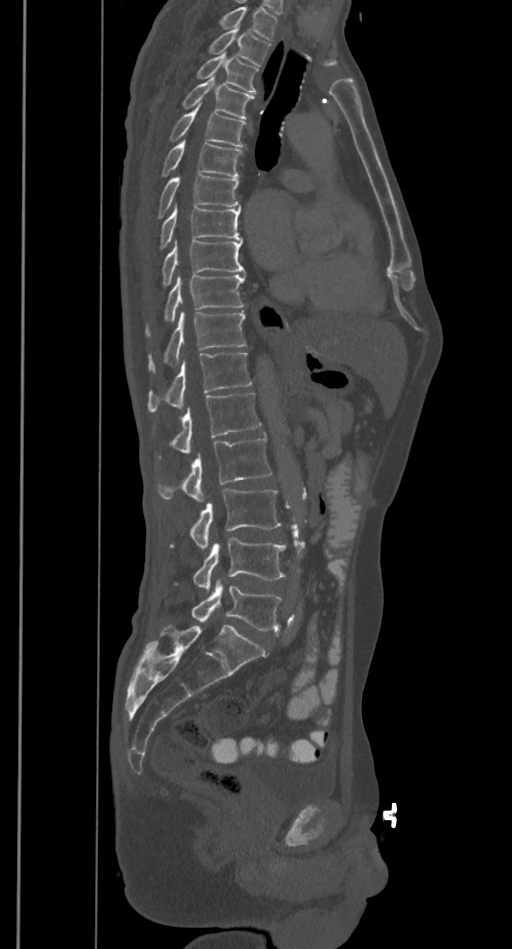 Spine CT — sagittal view — 385 mm image width — 512x949 px
Coordinates as <box>x1,y1,x2,y2</box>.
Vertebrae that run past the top of the scan are left unlabeled.
Vertebra bounding boxes:
- L5: <box>191,578,282,630</box>
- L4: <box>193,537,286,590</box>
- L3: <box>170,490,281,550</box>
- L2: <box>158,437,271,502</box>
- L1: <box>171,391,261,454</box>
- T12: <box>147,352,252,411</box>
- T11: <box>149,311,246,371</box>
- T10: <box>146,274,245,335</box>
- T9: <box>162,239,245,286</box>
- T8: <box>161,203,241,249</box>
- T7: <box>158,174,240,218</box>
- T6: <box>162,139,241,177</box>
- T5: <box>170,104,245,146</box>
- T4: <box>182,77,254,119</box>
- T3: <box>197,53,258,91</box>
- T2: <box>210,26,270,65</box>